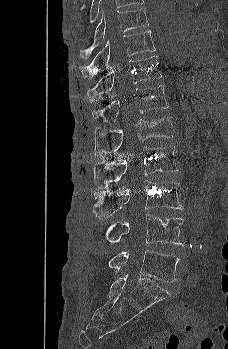
Computed tomography of the spine; sagittal reformat. Coordinates as <box>x1,y1,x2,y2</box>.
Vertebra bounding boxes:
- T9: <box>80,7,149,59</box>
- T10: <box>81,30,155,78</box>
- T11: <box>87,55,162,102</box>
- T12: <box>92,85,168,123</box>
- L1: <box>94,116,174,158</box>
- L2: <box>94,145,179,189</box>
- L3: <box>93,180,183,219</box>
- L4: <box>98,214,184,245</box>
- L5: <box>108,250,179,282</box>